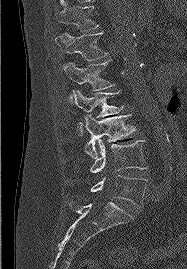 CT, spine; sagittal view; W/L 1800/400 HU. Boxes are (x1, y1, x2, y2) in pixels.
Vertebra bounding boxes:
- T11: (58, 3, 98, 31)
- T12: (55, 32, 108, 60)
- L1: (63, 60, 114, 102)
- L2: (73, 90, 122, 135)
- L3: (84, 114, 135, 158)
- L4: (90, 139, 146, 172)
- L5: (90, 175, 146, 207)